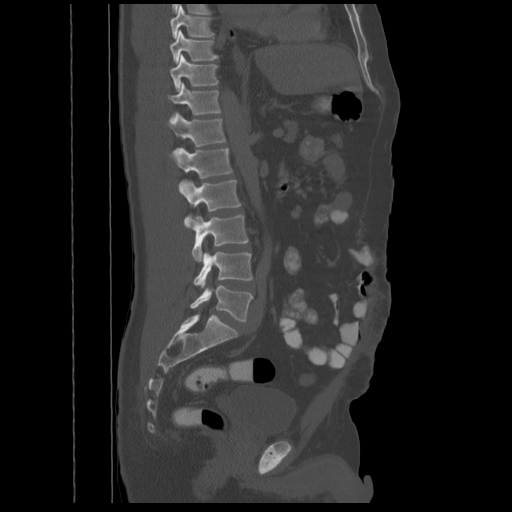 CT — sagittal view — W/L 1800/400 HU
Each box given as x1,y1,x2,y2.
T8: x1=170, y1=7, x2=214, y2=38
T9: x1=170, y1=30, x2=219, y2=63
T10: x1=170, y1=54, x2=219, y2=91
T11: x1=167, y1=82, x2=220, y2=121
T12: x1=168, y1=113, x2=225, y2=151
L1: x1=170, y1=148, x2=233, y2=189
L2: x1=180, y1=179, x2=241, y2=226
L3: x1=191, y1=215, x2=248, y2=262
L4: x1=193, y1=251, x2=252, y2=287
L5: x1=190, y1=285, x2=252, y2=321